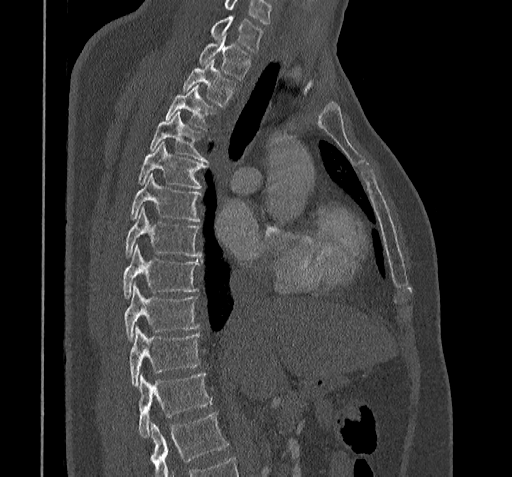 CT — sagittal view — bone-window reconstruction
Bounding boxes as [x1, y1, x2, y2] in pixel coordinates.
Where the bottom of the scan cuts through a vertebra, that vertebra gets no label or box.
In this scan, the topmost labeled vertebra is C7 and the lowest is T11.
C7: [211, 16, 263, 51]
T1: [198, 34, 250, 79]
T2: [183, 59, 236, 106]
T3: [165, 86, 215, 128]
T4: [149, 113, 207, 161]
T5: [138, 142, 208, 188]
T6: [130, 175, 201, 221]
T7: [125, 208, 201, 258]
T8: [122, 245, 199, 300]
T9: [124, 285, 199, 341]
T10: [128, 326, 199, 387]
T11: [138, 374, 212, 437]